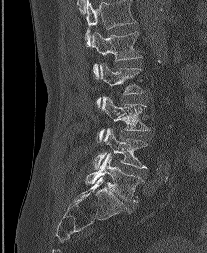
Computed tomography of the spine. sagittal view. W/L 1800/400 HU. 207 mm across the image
Columns x1, y1, x2, y2 give each box's top-left and bottom-right pixels.
The highest labeled vertebra in this scan is L1; the lowest is L5.
| vertebra | x1 | y1 | x2 | y2 |
|---|---|---|---|---|
| L5 | 85 | 154 | 143 | 202 |
| L4 | 94 | 128 | 147 | 169 |
| L3 | 97 | 96 | 150 | 141 |
| L2 | 97 | 63 | 143 | 106 |
| L1 | 91 | 31 | 141 | 77 |